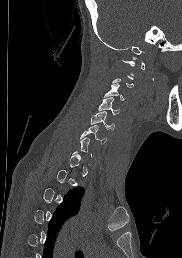 Spine computed tomography — sagittal view — bone-window reconstruction
Boxes: x1 y1 x2 y2 (pixel coords, space-separated).
Not every vertebra on this slice has a box: a vertebra is boxed only from the first to the last slice where its cross-section is at least a third of its largest, and this slice is outside that range for at least one of them.
C3: 104 83 125 100
C4: 98 98 120 114
C5: 90 111 114 129
C6: 80 125 106 143